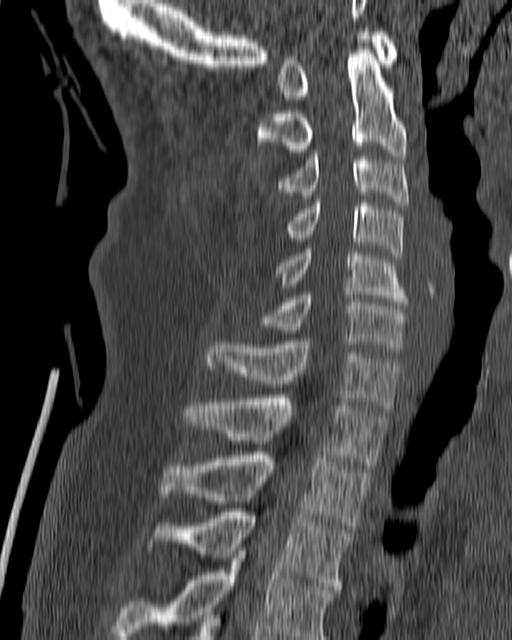

Spine computed tomography; sagittal view; W/L 1800/400 HU; 512x640 px; 180 mm wide. Bounding boxes as [x1, y1, x2, y2] in pixel coordinates.
C1: [279, 28, 397, 102]
C2: [256, 50, 407, 155]
C3: [277, 149, 409, 205]
C4: [285, 199, 404, 259]
C5: [274, 249, 408, 305]
C6: [243, 292, 409, 347]
C7: [206, 341, 401, 411]
T1: [183, 395, 387, 465]
T2: [160, 452, 370, 529]
T3: [145, 508, 353, 589]
T4: [113, 548, 336, 639]